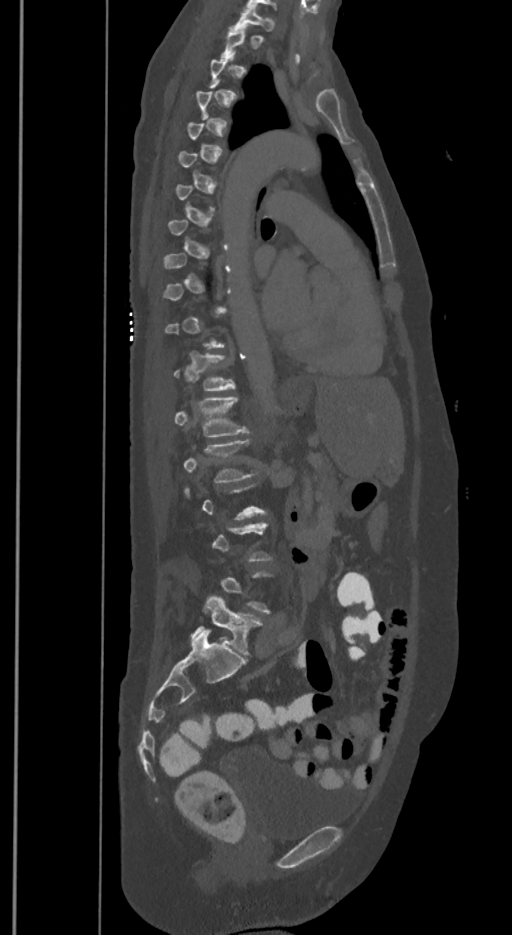 CT spine · sagittal view · bone window

Box edges are left/top/right/bottom in pixels.
Each vertebra is boxed only on the slices from the first to the last where its cross-section reaches a third of its largest, so a slice outside that range leaves it unboxed.
The labels name a sixth lumbar vertebra for this spine: L6, after L5.
T1: left=230, top=7, right=274, bottom=29
T12: left=174, top=353, right=234, bottom=391
L1: left=174, top=396, right=247, bottom=436
L2: left=184, top=441, right=252, bottom=482
L6: left=190, top=596, right=262, bottom=655